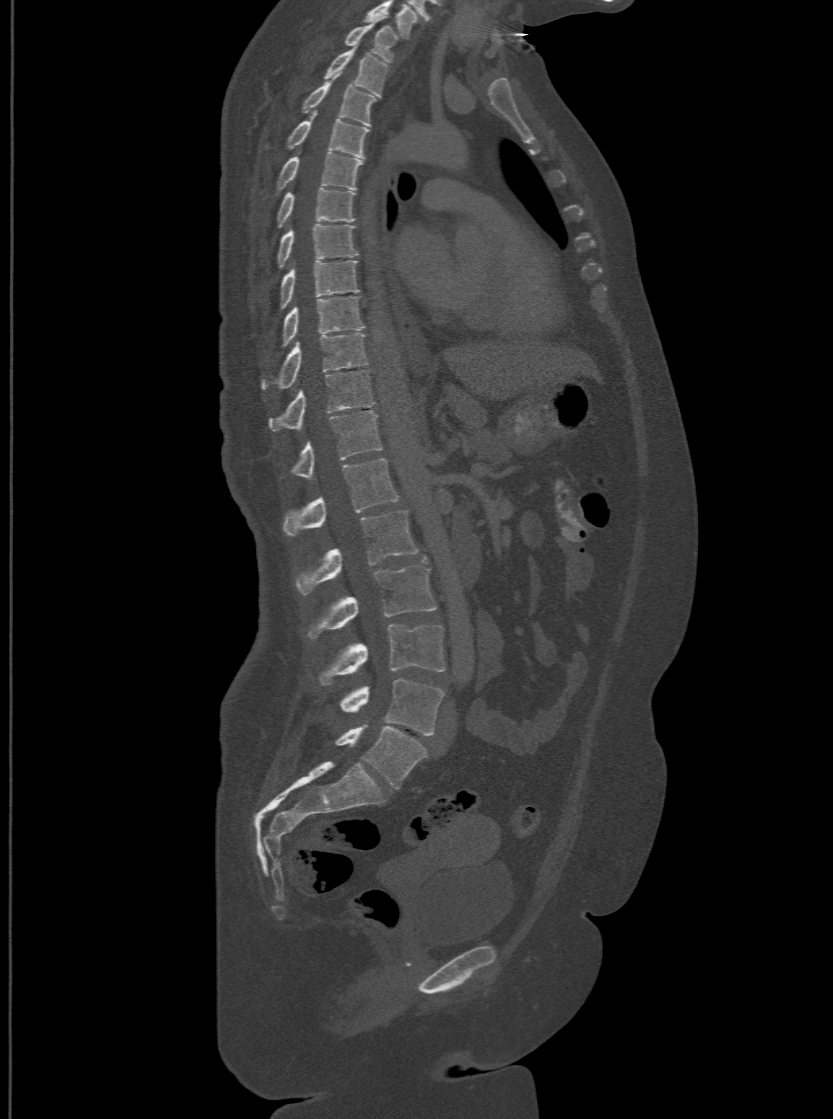
Computed tomography of the spine · sagittal reformat
This scan's labels start at T1 at the top and end at L6 at the bottom.
In these labels the spine has an L6, a sixth lumbar vertebra below L5.
<vertebrae><v name="T1" x1="343" y1="20" x2="398" y2="62"/><v name="T2" x1="324" y1="50" x2="388" y2="96"/><v name="T3" x1="301" y1="80" x2="375" y2="126"/><v name="T4" x1="265" y1="118" x2="368" y2="157"/><v name="T5" x1="262" y1="150" x2="362" y2="192"/><v name="T6" x1="277" y1="187" x2="354" y2="226"/><v name="T7" x1="277" y1="223" x2="357" y2="267"/><v name="T8" x1="280" y1="260" x2="359" y2="309"/><v name="T9" x1="282" y1="295" x2="364" y2="344"/><v name="T10" x1="262" y1="332" x2="367" y2="389"/><v name="T11" x1="269" y1="368" x2="373" y2="429"/><v name="T12" x1="280" y1="410" x2="383" y2="476"/><v name="L1" x1="283" y1="457" x2="399" y2="536"/><v name="L2" x1="295" y1="508" x2="417" y2="595"/><v name="L3" x1="306" y1="557" x2="435" y2="638"/><v name="L4" x1="319" y1="624" x2="445" y2="685"/><v name="L5" x1="339" y1="679" x2="443" y2="735"/><v name="L6" x1="335" y1="724" x2="425" y2="788"/></vertebrae>